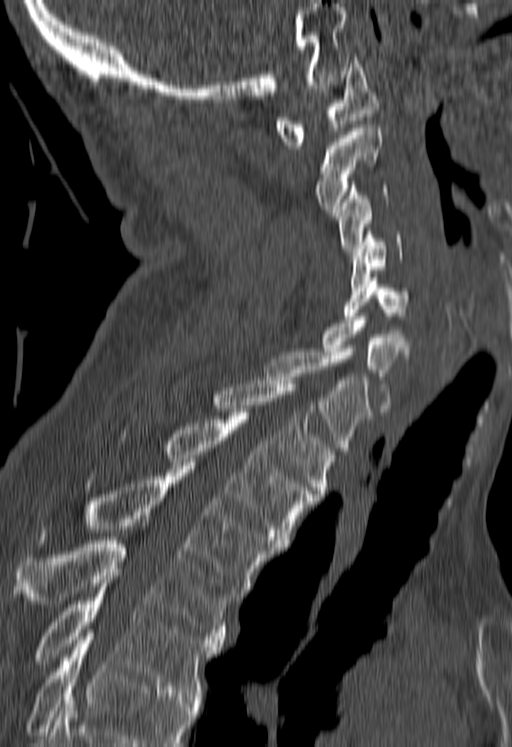

CT, spine — sagittal view — the image spans 180 mm across — bone-window reconstruction — 512x747 px

Boxes: x1:y1:x2:y2 in pixels. No box is given to a vertebra that the bottom edge of the scan cuts off. The labeled vertebrae in this slice are: C1 at 275:57:381:148, C2 at 317:128:381:212, C3 at 337:181:387:251, C4 at 351:231:401:287, C5 at 344:277:407:319, C6 at 322:313:410:408, C7 at 265:352:370:454, T1 at 214:380:336:497, T2 at 166:412:316:547, T3 at 39:466:276:596, T4 at 9:540:236:643, T5 at 32:583:222:696.